Computed tomography of the spine — the image is 152 mm wide — Sagittal slice 90/152 — Bone window (WL 400, WW 1800) — 152x195 px — scan covers 6 annotated vertebrae
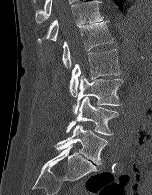

Each box given as x1,y1,x2,y2.
T12: x1=37, y1=0, x2=104, y2=43
L1: x1=62, y1=21, x2=113, y2=68
L2: x1=69, y1=49, x2=121, y2=96
L3: x1=73, y1=75, x2=122, y2=114
L4: x1=66, y1=97, x2=118, y2=135
L5: x1=55, y1=123, x2=107, y2=165